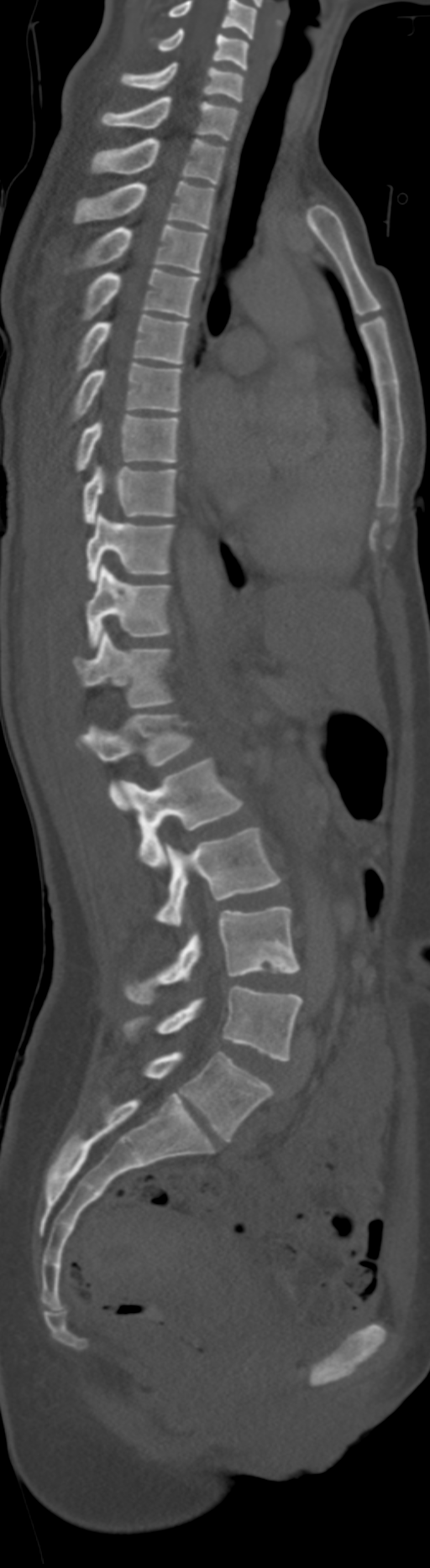

CT, spine — the image is 192 mm wide — sagittal view

The highest labeled vertebra in this scan is C5; the lowest is L6.
In these labels the spine has an L6, a sixth lumbar vertebra below L5. In these labels the spine has no T12: the thoracic vertebrae end at T11, and L1 comes next.
<vertebrae><v name="L6" x1="144" y1="1052" x2="271" y2="1141"/><v name="L5" x1="124" y1="987" x2="302" y2="1060"/><v name="L4" x1="124" y1="907" x2="300" y2="1004"/><v name="L3" x1="155" y1="828" x2="282" y2="926"/><v name="L2" x1="119" y1="757" x2="244" y2="867"/><v name="L1" x1="77" y1="714" x2="192" y2="810"/><v name="T11" x1="74" y1="631" x2="175" y2="706"/><v name="T10" x1="86" y1="565" x2="172" y2="648"/><v name="T9" x1="86" y1="513" x2="175" y2="582"/><v name="T8" x1="83" y1="466" x2="177" y2="524"/><v name="T7" x1="75" y1="414" x2="179" y2="471"/><v name="T6" x1="71" y1="363" x2="181" y2="420"/><v name="T5" x1="75" y1="314" x2="188" y2="376"/><v name="T4" x1="81" y1="269" x2="199" y2="320"/><v name="T3" x1="79" y1="224" x2="208" y2="273"/><v name="T2" x1="72" y1="180" x2="215" y2="228"/><v name="T1" x1="90" y1="137" x2="226" y2="184"/><v name="C7" x1="99" y1="96" x2="239" y2="141"/><v name="C6" x1="119" y1="61" x2="244" y2="101"/><v name="C5" x1="156" y1="28" x2="249" y2="70"/></vertebrae>